CT, spine. sagittal view. 576x488 px
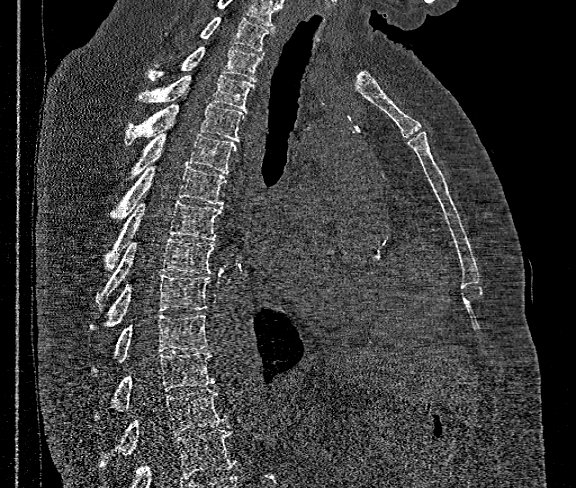 Vertebrae that run past the bottom of the scan are left unlabeled.
The highest labeled vertebra in this scan is T1; the lowest is T12.
<vertebrae><v name="T1" x1="164" y1="16" x2="272" y2="51"/><v name="T2" x1="147" y1="47" x2="262" y2="81"/><v name="T3" x1="139" y1="76" x2="254" y2="111"/><v name="T4" x1="125" y1="98" x2="245" y2="145"/><v name="T5" x1="119" y1="133" x2="237" y2="187"/><v name="T6" x1="114" y1="165" x2="226" y2="217"/><v name="T7" x1="106" y1="200" x2="221" y2="270"/><v name="T8" x1="96" y1="239" x2="213" y2="302"/><v name="T9" x1="91" y1="274" x2="210" y2="329"/><v name="T10" x1="91" y1="314" x2="207" y2="375"/><v name="T11" x1="94" y1="352" x2="215" y2="420"/><v name="T12" x1="100" y1="389" x2="226" y2="467"/></vertebrae>